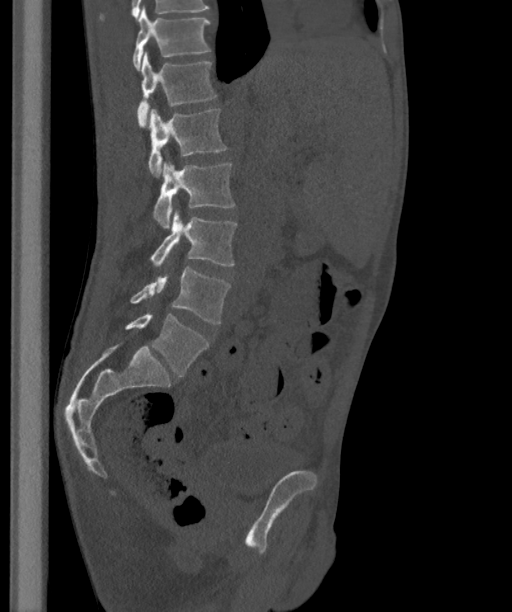
CT, spine — sagittal view — image width 363 mm — bone-window reconstruction — 512x612 px
Coordinates as <box>x1,y1,x2,y2</box>.
In these labels the spine has an L6, a sixth lumbar vertebra below L5.
Vertebra bounding boxes:
- T12: <box>132,6,210,70</box>
- L1: <box>136,52,217,127</box>
- L2: <box>148,108,227,177</box>
- L3: <box>154,162,234,227</box>
- L4: <box>151,211,237,266</box>
- L5: <box>130,267,230,323</box>
- L6: <box>125,312,209,375</box>